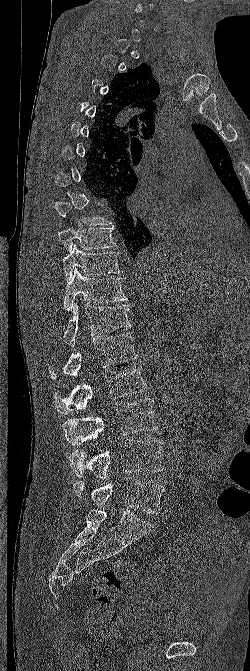

CT, spine — sagittal reformat — Bone window (WL 400, WW 1800) — 250x671 px
Each box given as x1,y1,x2,y2.
Not every vertebra on this slice has a box: a vertebra is boxed only from the first to the last slice where its cross-section is at least a third of its largest, and this slice is outside that range for at least one of them.
T8: x1=54, y1=201, x2=112, y2=224
T9: x1=58, y1=227, x2=117, y2=251
T10: x1=62, y1=244, x2=120, y2=281
T11: x1=63, y1=268, x2=127, y2=311
T12: x1=63, y1=303, x2=132, y2=346
L1: x1=49, y1=332, x2=137, y2=379
L2: x1=53, y1=366, x2=146, y2=414
L3: x1=62, y1=398, x2=158, y2=445
L4: x1=68, y1=439, x2=164, y2=479
L5: x1=73, y1=477, x2=164, y2=514